CT. Sagittal slice 227/512. 8 vertebrae labeled in this scan
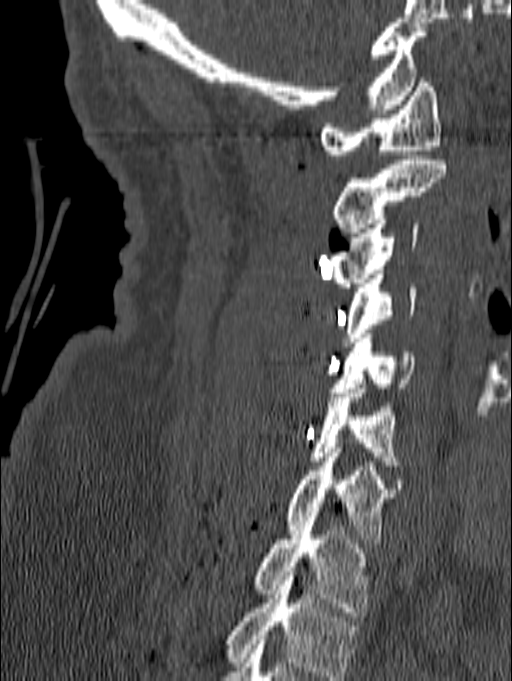

This scan's labels start at C1 at the top and end at T1 at the bottom.
<vertebrae><v name="T1" x1="254" y1="517" x2="369" y2="616"/><v name="C7" x1="284" y1="448" x2="395" y2="543"/><v name="C6" x1="309" y1="384" x2="405" y2="465"/><v name="C5" x1="330" y1="334" x2="414" y2="392"/><v name="C4" x1="343" y1="270" x2="416" y2="346"/><v name="C3" x1="328" y1="219" x2="419" y2="287"/><v name="C2" x1="332" y1="155" x2="446" y2="237"/><v name="C1" x1="320" y1="78" x2="441" y2="159"/></vertebrae>